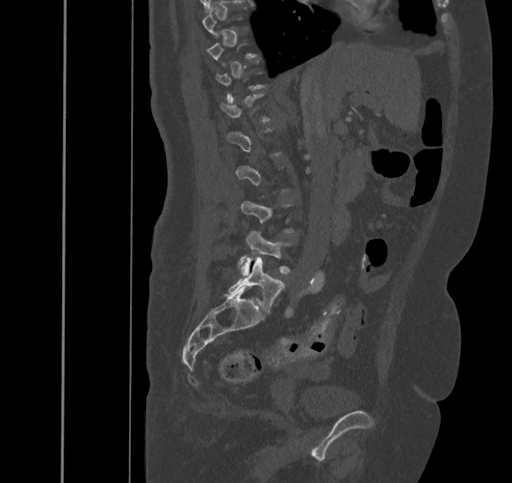
Spine computed tomography; sagittal view; W/L 1800/400 HU. Boxes are (x1, y1, x2, y2) in pixels.
Each vertebra is boxed only on the slices from the first to the last where its cross-section reaches a third of its largest, so a slice outside that range leaves it unboxed.
Vertebra bounding boxes:
- L4: (241, 231, 290, 275)
- L5: (229, 255, 284, 313)